CT spine · the image is 461 mm wide · Sagittal slice 250/512 · 512x550 px
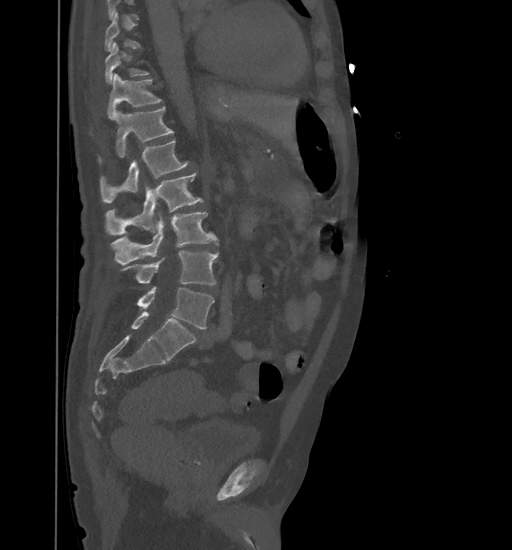

Coordinates as <box>x1,y1,x2,y2</box>.
A vertebra gets a box only on the slices from the first to the last where its cross-section is at least a third of its largest; on a slice outside that range it gets none.
L5: <box>137,287,214,329</box>
L4: <box>121,250,218,285</box>
L3: <box>111,212,218,264</box>
L2: <box>105,172,203,235</box>
L1: <box>100,140,189,202</box>
T12: <box>99,107,173,160</box>
T11: <box>107,73,162,121</box>
T10: <box>105,42,149,84</box>